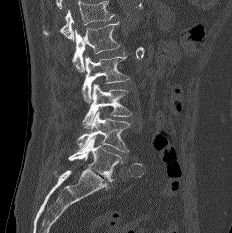

CT spine · sagittal reformat · bone window
No box is given to a vertebra that the top edge of the scan cuts off.
<vertebrae><v name="L1" x1="72" y1="21" x2="120" y2="72"/><v name="L2" x1="82" y1="51" x2="129" y2="102"/><v name="L3" x1="82" y1="84" x2="131" y2="129"/><v name="L4" x1="77" y1="111" x2="130" y2="152"/><v name="L5" x1="68" y1="135" x2="122" y2="181"/></vertebrae>